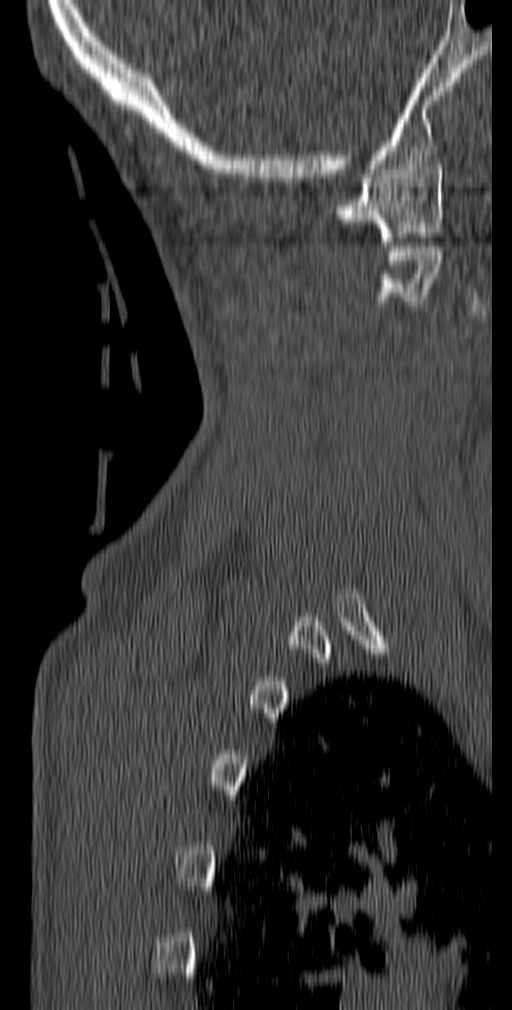 CT. sagittal view. W/L 1800/400 HU
Each box given as x1,y1,x2,y2.
Vertebra bounding boxes:
- C1: x1=336, y1=165, x2=443, y2=241
- C2: x1=374, y1=242, x2=443, y2=305